CT spine — sagittal view — 512x760 px — 10 vertebrae labeled in this scan
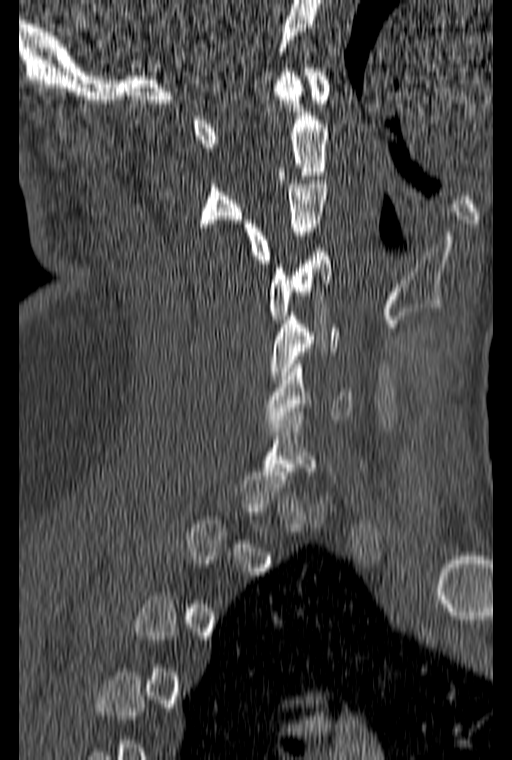 Each row gives a vertebra's box as x1, y1, x2, y2 in pixels: top-left corner, then bottom-right corner.
A vertebra gets a box only on the slices from the first to the last where its cross-section is at least a third of its largest; on a slice outside that range it gets none.
| vertebra | x1 | y1 | x2 | y2 |
|---|---|---|---|---|
| C6 | 265 | 356 | 352 | 427 |
| C5 | 270 | 312 | 339 | 379 |
| C4 | 269 | 248 | 330 | 319 |
| C3 | 244 | 180 | 326 | 263 |
| C2 | 195 | 72 | 329 | 227 |
| C1 | 193 | 64 | 330 | 147 |